CT, spine. Sagittal slice 228/512. bone-window reconstruction. scan covers 18 annotated vertebrae
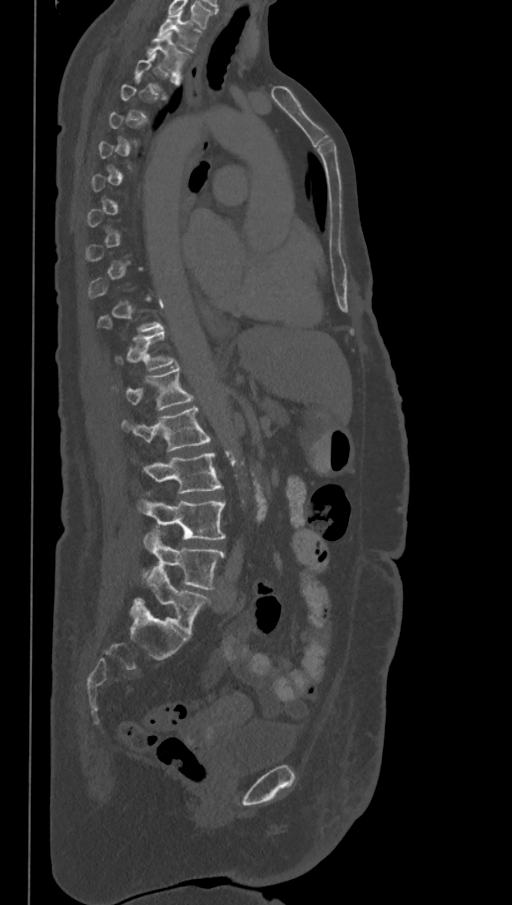 Box values are [left, top, right, bottom] in pixels.
Each vertebra is boxed only on the slices from the first to the last where its cross-section reaches a third of its largest, so a slice outside that range leaves it unboxed.
These labels give the spine a sixth lumbar vertebra, L6, below L5.
{"vertebrae":{"T1":[157,11,202,52],"T2":[146,31,189,75],"T12":[115,331,175,370],"L1":[112,367,194,410],"L2":[121,406,212,451],"L3":[143,452,223,492],"L4":[138,492,226,540],"L5":[143,530,224,589],"L6":[134,566,210,636]}}